CT · sagittal reformat · the image spans 140 mm across
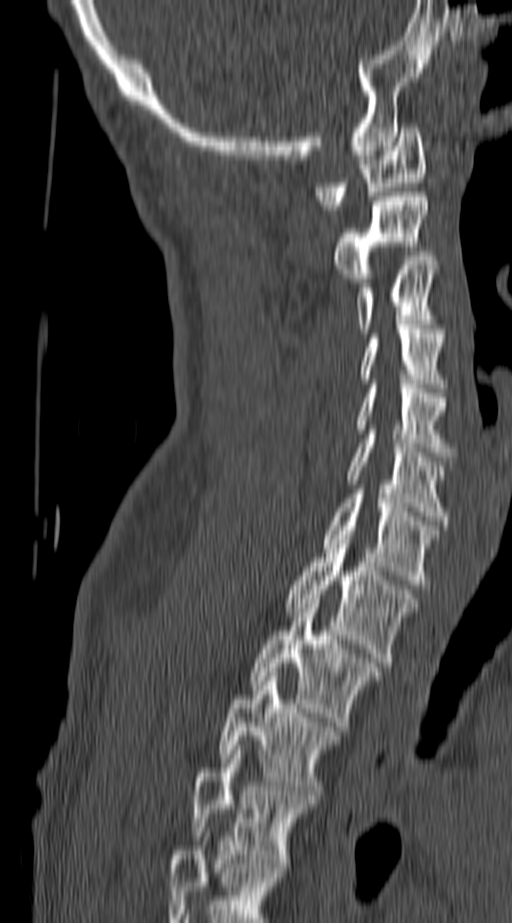 Coordinates as <box>x1,y1,x2,y2</box>.
This scan's labels start at C1 at the top and end at T4 at the bottom.
C1: <box>316,123,425,209</box>
C2: <box>334,192,428,282</box>
C3: <box>355,261,437,333</box>
C4: <box>360,329,443,388</box>
C5: <box>356,384,454,456</box>
C6: <box>348,434,450,525</box>
C7: <box>323,489,439,584</box>
T1: <box>284,539,417,666</box>
T2: <box>250,599,381,726</box>
T3: <box>221,672,340,799</box>
T4: <box>192,745,315,868</box>